Spine computed tomography. sagittal plane, index 288. bone-window reconstruction. 658x798 px
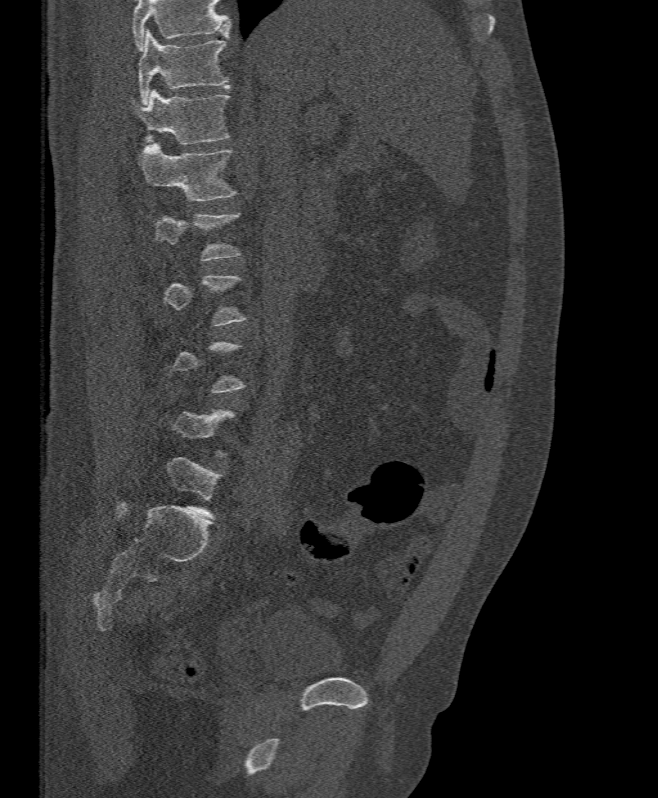

Boxes below are [x1, y1, x2, y2] in pixels.
A vertebra gets a box only on the slices from the first to the last where its cross-section is at least a third of its largest; on a slice outside that range it gets none.
Where the top of the scan cuts through a vertebra, that vertebra gets no label or box.
{"vertebrae":{"L1":[138,143,236,201],"T12":[131,88,230,144],"T11":[138,30,229,104]}}